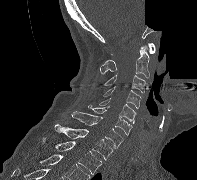
CT · sagittal view · Bone window (WL 400, WW 1800) · the image is 197 mm wide · 197x180 px · a region of this slice is masked with a uniform fill. Each box given as x1,y1,x2,y2.
C1: x1=111, y1=43, x2=155, y2=54
C2: x1=100, y1=45, x2=149, y2=78
C3: x1=104, y1=73, x2=145, y2=92
C4: x1=103, y1=86, x2=141, y2=108
C5: x1=99, y1=98, x2=136, y2=123
C6: x1=88, y1=104, x2=132, y2=135
C7: x1=71, y1=111, x2=123, y2=148
T1: x1=54, y1=124, x2=113, y2=160
T2: x1=41, y1=137, x2=102, y2=174